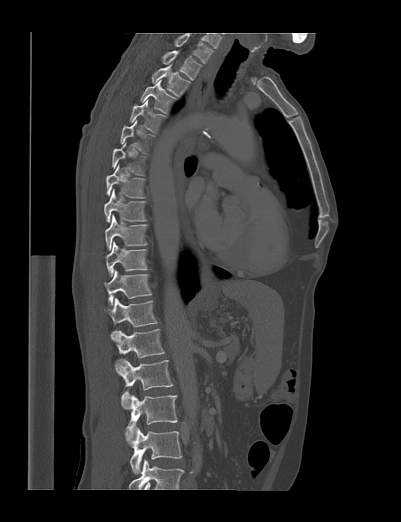

Spine computed tomography — sagittal view — Bone window (WL 400, WW 1800) — 401x522 px
In this scan, the topmost labeled vertebra is T1 and the lowest is L4.
<vertebrae><v name="T1" x1="161" y1="50" x2="201" y2="80"/><v name="T2" x1="152" y1="62" x2="190" y2="97"/><v name="T3" x1="140" y1="79" x2="178" y2="115"/><v name="T4" x1="130" y1="99" x2="167" y2="132"/><v name="T5" x1="120" y1="120" x2="154" y2="154"/><v name="T6" x1="112" y1="143" x2="147" y2="175"/><v name="T7" x1="106" y1="165" x2="145" y2="198"/><v name="T8" x1="104" y1="189" x2="145" y2="222"/><v name="T9" x1="105" y1="213" x2="148" y2="250"/><v name="T10" x1="106" y1="241" x2="148" y2="276"/><v name="T11" x1="104" y1="270" x2="152" y2="305"/><v name="T12" x1="104" y1="298" x2="157" y2="340"/><v name="L1" x1="114" y1="329" x2="164" y2="374"/><v name="L2" x1="121" y1="359" x2="173" y2="409"/><v name="L3" x1="125" y1="395" x2="177" y2="445"/><v name="L4" x1="130" y1="427" x2="181" y2="473"/></vertebrae>